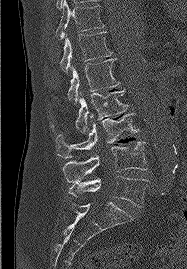
CT, spine — sagittal reformat — 187 mm across the image — Bone window (WL 400, WW 1800)
Box edges are left/top/right/bottom in pixels. Vertebrae labeled: T11 at left=55, top=0, right=104, bottom=39, T12 at left=60, top=32, right=112, bottom=72, L1 at left=67, top=59, right=119, bottom=104, L2 at left=50, top=90, right=127, bottom=132, L3 at left=56, top=113, right=138, bottom=158, L4 at left=63, top=141, right=147, bottom=182, L5 at left=68, top=176, right=147, bottom=207.